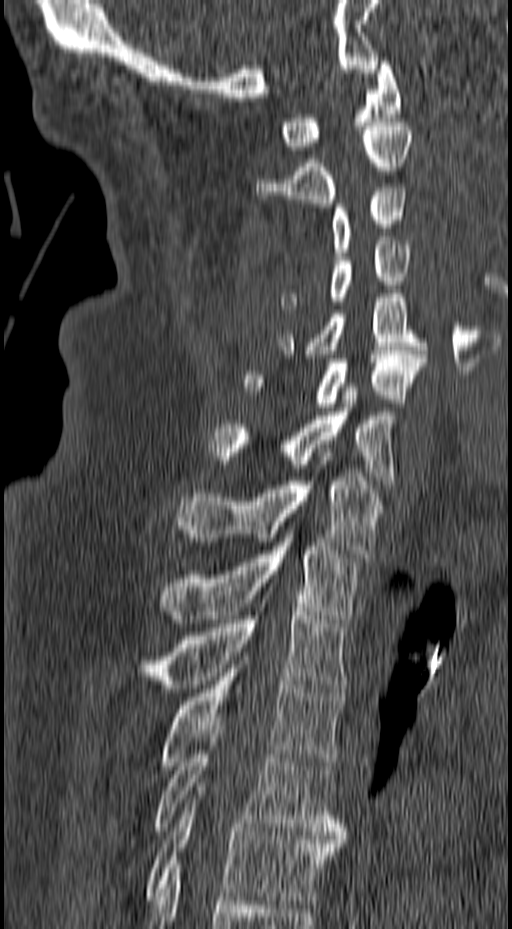
CT, spine · sagittal view · bone-window reconstruction
<vertebrae><v name="C1" x1="282" y1="57" x2="401" y2="150"/><v name="C2" x1="256" y1="122" x2="413" y2="207"/><v name="C3" x1="331" y1="188" x2="408" y2="256"/><v name="C4" x1="279" y1="241" x2="410" y2="309"/><v name="C5" x1="278" y1="294" x2="427" y2="358"/><v name="C6" x1="244" y1="351" x2="427" y2="411"/><v name="C7" x1="207" y1="387" x2="397" y2="484"/><v name="T1" x1="174" y1="473" x2="385" y2="557"/><v name="T2" x1="161" y1="534" x2="359" y2="623"/><v name="T3" x1="138" y1="607" x2="347" y2="692"/><v name="T4" x1="160" y1="656" x2="343" y2="769"/><v name="T5" x1="152" y1="726" x2="346" y2="839"/><v name="T6" x1="144" y1="787" x2="343" y2="904"/></vertebrae>